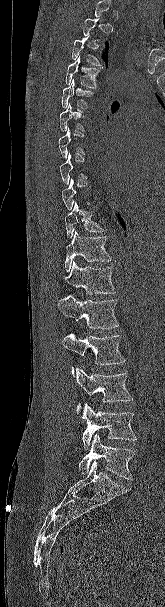
CT — sagittal view
Box values are [left, top, right, bottom] in pixels.
Not every vertebra on this slice has a box: a vertebra is boxed only from the first to the last slice where its cross-section is at least a third of its largest, and this slice is outside that range for at least one of them.
{"vertebrae":{"T3":[72,35,100,65],"T4":[65,56,103,88],"T5":[61,79,94,109],"T6":[59,103,84,131],"T10":[64,202,105,238],"T11":[64,230,111,272],"T12":[63,261,115,294],"L1":[58,294,119,328],"L2":[62,332,125,376],"L3":[76,367,133,414],"L4":[81,403,136,450],"L5":[79,433,135,480]}}